Spine computed tomography; sagittal view; bone window; 536x664 px; scan covers 9 annotated vertebrae
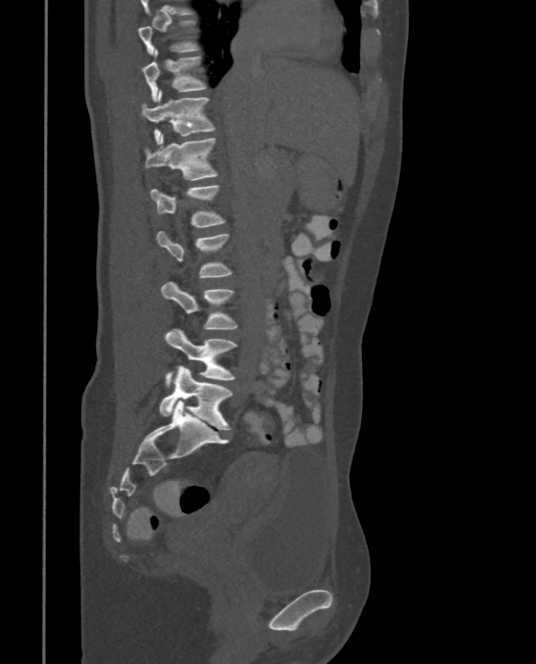

Coordinates as <box>x1,y1,x2,y2</box>.
In this scan, the topmost labeled vertebra is T9 and the lowest is L5.
Vertebra bounding boxes:
- T9: <box>138,20,200,55</box>
- T10: <box>142,48,207,102</box>
- T11: <box>141,90,216,144</box>
- T12: <box>144,133,219,180</box>
- L1: <box>152,184,226,227</box>
- L2: <box>157,230,233,277</box>
- L3: <box>161,280,238,329</box>
- L4: <box>165,328,238,386</box>
- L5: <box>158,366,233,430</box>